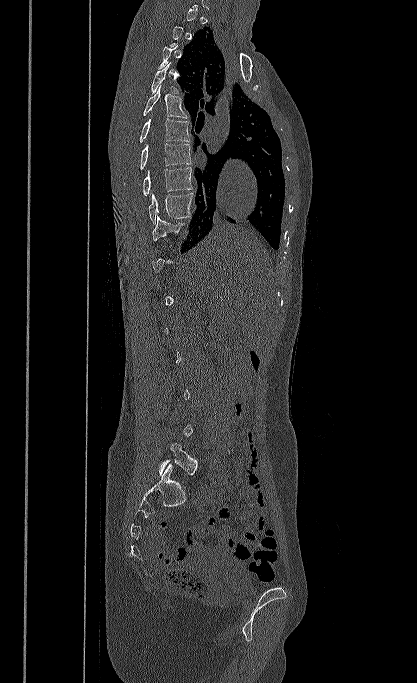 CT — sagittal view — Bone window (WL 400, WW 1800)
Each box given as x1,y1,x2,y2. Not every vertebra on this slice has a box: a vertebra is boxed only from the first to the last slice where its cross-section is at least a third of its largest, and this slice is outside that range for at least one of them. The labeled vertebrae in this slice are: L5 at x1=159, y1=442, x2=197, y2=475, T10 at x1=152, y1=215, x2=184, y2=241, T9 at x1=148, y1=193, x2=194, y2=224, T8 at x1=143, y1=167, x2=192, y2=195, T7 at x1=140, y1=143, x2=191, y2=169, T6 at x1=139, y1=118, x2=190, y2=142, T5 at x1=143, y1=84, x2=187, y2=118, T4 at x1=151, y1=62, x2=179, y2=94.